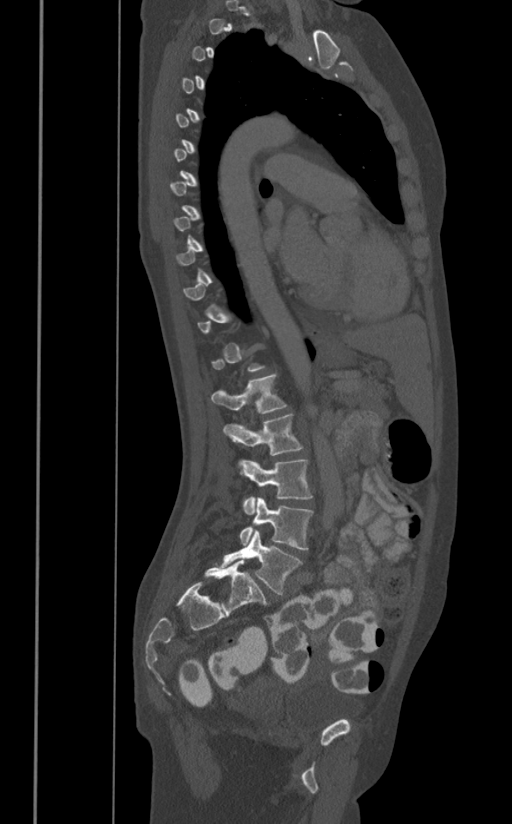 Spine computed tomography · sagittal view · W/L 1800/400 HU
Coordinates as <box>x1,y1,x2,y2</box>.
A vertebra gets a box only on the slices from the first to the last where its cross-section is at least a third of its largest; on a slice outside that range it gets none.
L1: <box>211,374,287,413</box>
L2: <box>224,414,302,455</box>
L3: <box>239,458,313,514</box>
L4: <box>239,496,313,549</box>
L5: <box>220,530,303,595</box>